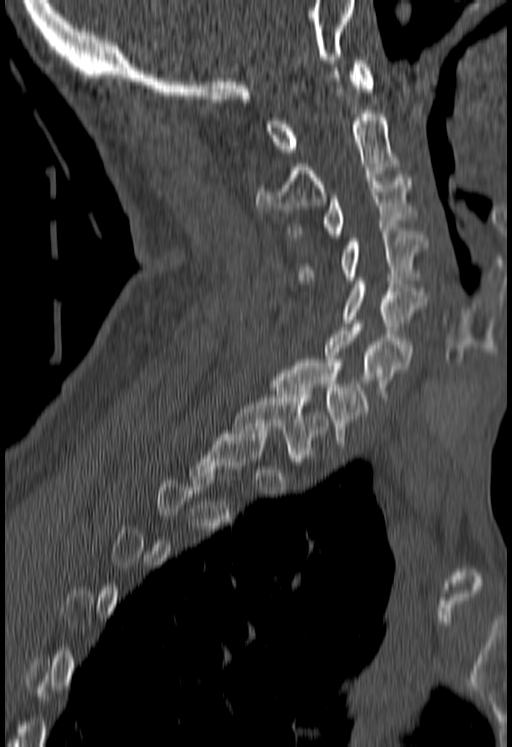
CT, spine — sagittal view — W/L 1800/400 HU — 512x747 px — image width 180 mm
Boxes: x1 y1 x2 y2 (pixel coords, space-separated). Not every vertebra on this slice has a box: a vertebra is boxed only from the first to the last slice where its cross-section is at least a third of its largest, and this slice is outside that range for at least one of them. Vertebrae labeled: C1 at 265 60 373 155, C2 at 257 114 398 212, C3 at 291 174 412 237, C4 at 298 228 427 283, C5 at 342 277 427 333, C6 at 324 324 410 394, C7 at 274 359 369 443, T1 at 234 391 328 461.